CT. sagittal view. bone window. 168x509 px
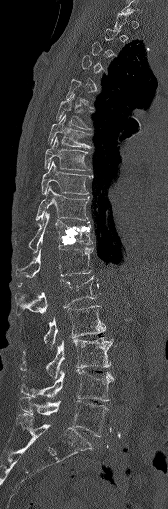
Box edges are left/top/right/bottom in pixels. Not every vertebra on this slice has a box: a vertebra is boxed only from the first to the last slice where its cross-section is at least a third of its largest, and this slice is outside that range for at least one of them. Vertebrae labeled: L5 at left=20, top=397, right=109, bottom=436, L4 at left=21, top=370, right=113, bottom=401, L3 at left=20, top=337, right=112, bottom=378, L2 at left=44, top=305, right=105, bottom=346, L1 at left=15, top=276, right=96, bottom=314, T12 at left=16, top=247, right=93, bottom=277, T11 at left=29, top=212, right=92, bottom=252, T10 at left=36, top=186, right=88, bottom=221, T9 at left=41, top=161, right=90, bottom=194, T8 at left=44, top=137, right=89, bottom=170, T7 at left=48, top=115, right=90, bottom=147, T6 at left=56, top=97, right=89, bottom=129.